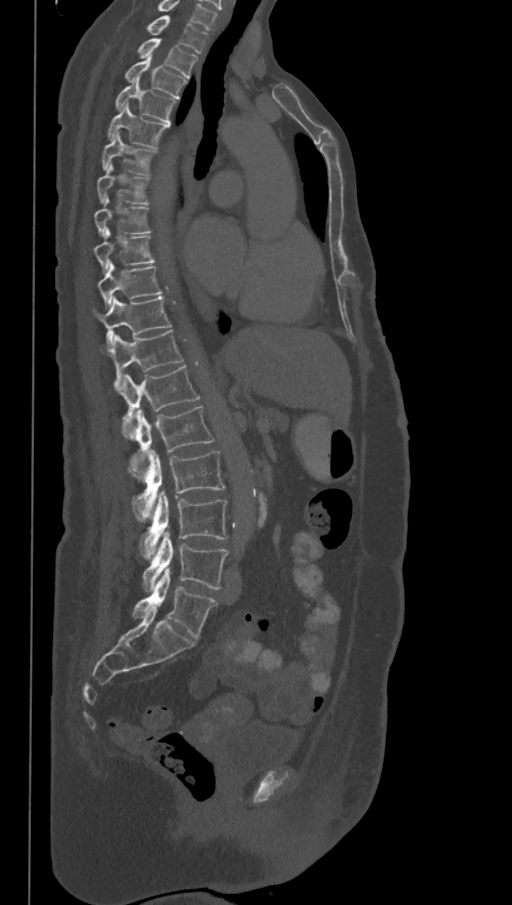

CT, spine; sagittal view. Columns x1, y1, x2, y2 give each box's top-left and bottom-right pixels.
Labels in this scan begin with T1 at the top and end with L6 at the bottom.
These labels give the spine a sixth lumbar vertebra, L6, below L5.
| vertebra | x1 | y1 | x2 | y2 |
|---|---|---|---|---|
| L6 | 132 | 568 | 217 | 640 |
| L5 | 142 | 531 | 228 | 591 |
| L4 | 140 | 491 | 227 | 560 |
| L3 | 129 | 450 | 224 | 520 |
| L2 | 135 | 406 | 214 | 452 |
| L1 | 119 | 364 | 201 | 440 |
| T12 | 103 | 331 | 184 | 390 |
| T11 | 93 | 298 | 171 | 348 |
| T10 | 99 | 262 | 163 | 306 |
| T9 | 94 | 228 | 155 | 273 |
| T8 | 94 | 198 | 152 | 237 |
| T7 | 97 | 163 | 149 | 204 |
| T6 | 101 | 131 | 157 | 176 |
| T5 | 107 | 104 | 170 | 148 |
| T4 | 115 | 79 | 177 | 123 |
| T3 | 124 | 56 | 187 | 99 |
| T2 | 136 | 39 | 198 | 78 |
| T1 | 146 | 15 | 207 | 53 |